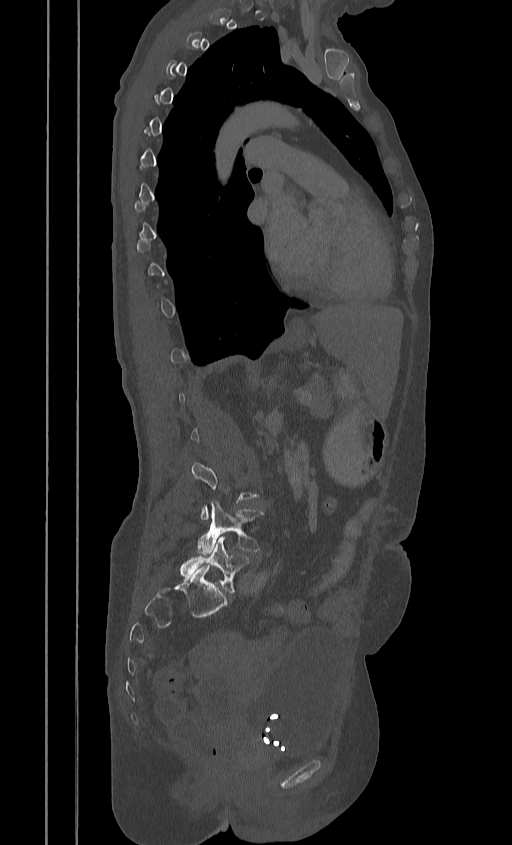

Spine CT — sagittal view — 512x845 px
Each box given as x1,y1,x2,y2.
Each vertebra is boxed only on the slices from the first to the last where its cross-section reaches a third of its largest, so a slice outside that range leaves it unboxed.
Vertebra bounding boxes:
- L5: x1=180, y1=536, x2=251, y2=592
- L4: x1=197, y1=501, x2=264, y2=555